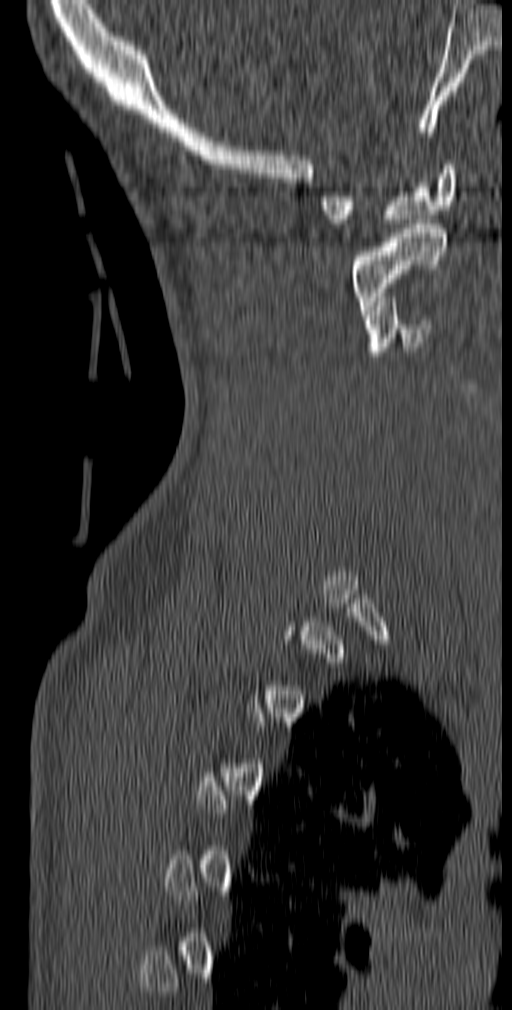

CT, spine — 140 mm image width — sagittal reformat — 512x1010 px
Coordinates as <box>x1,y1,x2,y2</box>. A vertebra gets a box only on the slices from the first to the last where its cross-section is at least a third of its largest; on a slice outside that range it gets none. Vertebrae labeled: C1 at <box>320,160,457,228</box>, C2 at <box>349,219,446,314</box>, C3 at <box>363,297,430,356</box>.